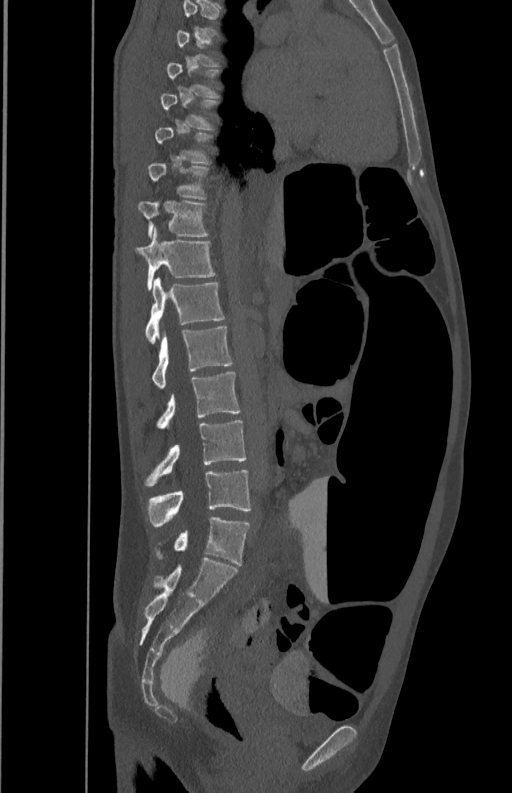 Spine computed tomography — sagittal view — Bone window (WL 400, WW 1800). Bounding boxes as [x1, y1, x2, y2] in pixel coordinates.
Each vertebra is boxed only on the slices from the first to the last where its cross-section reaches a third of its largest, so a slice outside that range leaves it unboxed.
Vertebra bounding boxes:
- T7: [167, 63, 220, 96]
- T8: [161, 93, 220, 131]
- T9: [155, 126, 214, 164]
- T10: [148, 162, 209, 199]
- T11: [139, 200, 209, 237]
- T12: [137, 226, 215, 290]
- L1: [145, 278, 226, 343]
- L2: [152, 327, 233, 387]
- L3: [155, 371, 240, 428]
- L4: [145, 420, 246, 486]
- L5: [146, 469, 250, 527]